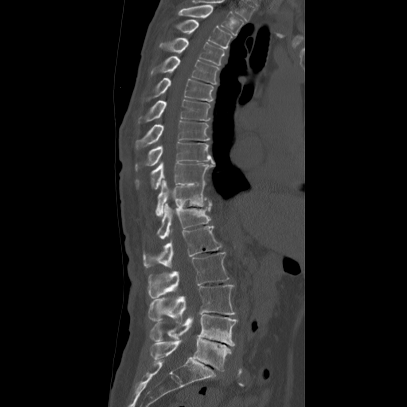
CT; sagittal view

Coordinates as <box>x1,y1,x2,y2</box>.
Vertebra bounding boxes:
- T2: <box>178,4,244,35</box>
- T3: <box>175,19,232,48</box>
- T4: <box>160,37,224,65</box>
- T5: <box>151,56,218,84</box>
- T6: <box>146,76,213,101</box>
- T7: <box>138,99,210,122</box>
- T8: <box>134,120,209,151</box>
- T9: <box>134,142,214,171</box>
- T10: <box>132,162,214,190</box>
- T11: <box>154,179,212,216</box>
- T12: <box>155,203,211,239</box>
- L1: <box>142,226,221,269</box>
- L2: <box>147,252,229,298</box>
- L3: <box>147,285,234,322</box>
- L4: <box>148,314,237,346</box>
- L5: <box>149,337,230,371</box>